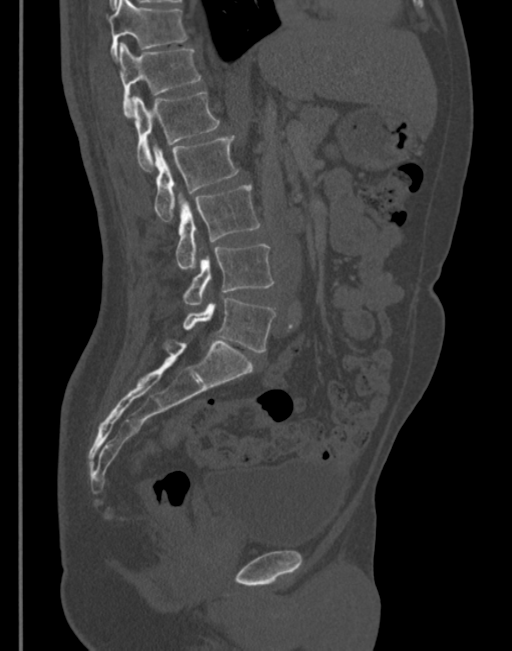

CT, spine; sagittal view; 345 mm across the image

Boxes are (x1, y1, x2, y2) in pixels. Vertebrae labeled: L5 at (176, 298, 275, 352), L4 at (184, 245, 273, 305), L3 at (175, 185, 260, 270), L2 at (153, 135, 238, 220), L1 at (130, 91, 220, 169), T12 at (117, 43, 201, 117), T11 at (108, 0, 187, 60).